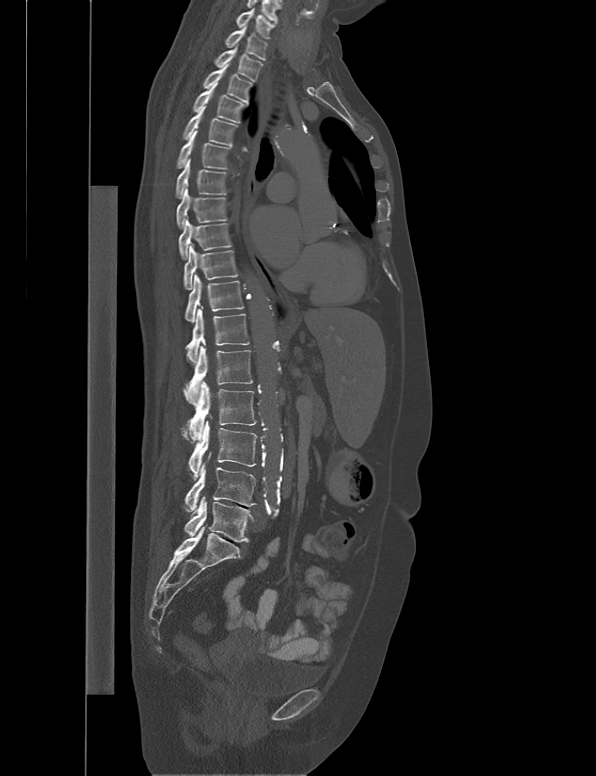
Spine computed tomography · sagittal view · bone-window reconstruction

Boxes are (x1, y1, x2, y2) in pixels.
Vertebra bounding boxes:
- C7: (236, 8, 274, 39)
- T1: (224, 25, 267, 60)
- T2: (214, 45, 263, 81)
- T3: (203, 63, 253, 104)
- T4: (193, 82, 244, 123)
- T5: (182, 106, 238, 147)
- T6: (176, 130, 231, 169)
- T7: (176, 158, 226, 199)
- T8: (176, 188, 226, 229)
- T9: (178, 219, 232, 260)
- T10: (184, 246, 238, 289)
- T11: (185, 274, 244, 322)
- T12: (185, 308, 249, 366)
- L1: (183, 346, 253, 402)
- L2: (181, 381, 256, 442)
- L3: (188, 420, 257, 481)
- L4: (180, 452, 257, 512)
- L5: (184, 496, 253, 542)